CT · Sagittal slice 206/512 · W/L 1800/400 HU
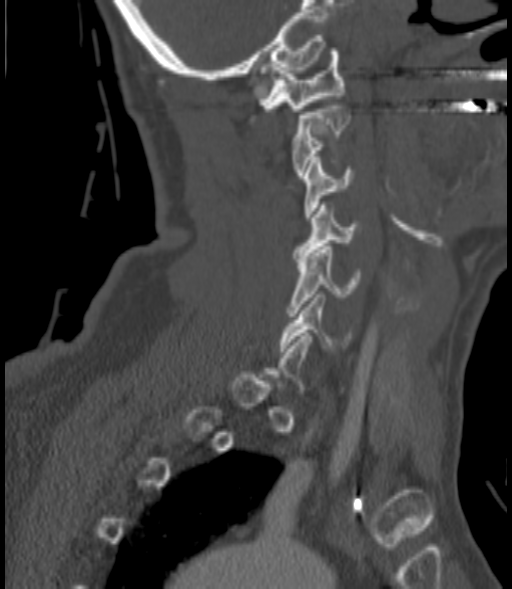
Each box given as x1,y1,x2,y2.
A vertebra is boxed only from the first to the last slice where its cross-section is at least a third of its largest; slices outside that range leave it without a box.
Vertebra bounding boxes:
- C6: x1=280, y1=294, x2=350, y2=351
- C5: x1=288, y1=246, x2=359, y2=316
- C4: x1=294, y1=205, x2=360, y2=261
- C3: x1=304, y1=157, x2=353, y2=220
- C2: x1=293, y1=106, x2=350, y2=178
- C1: x1=258, y1=48, x2=344, y2=111